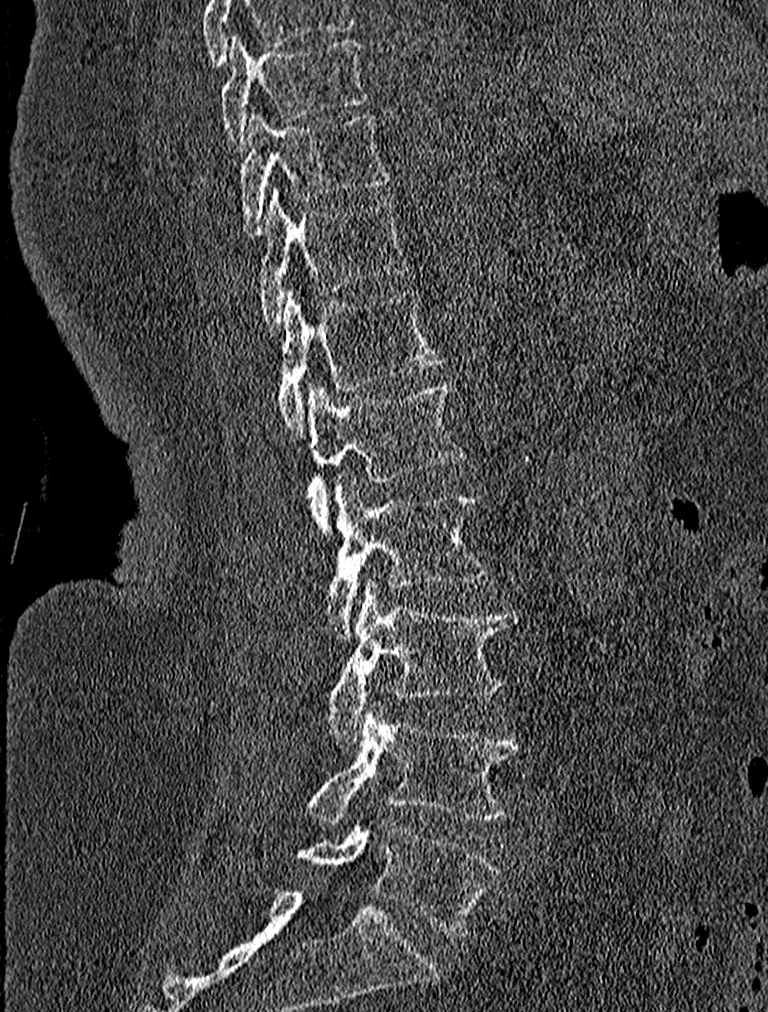

CT. sagittal reformat. the image is 227 mm wide

Boxes: x1:y1:x2:y2 in pixels.
Vertebra bounding boxes:
- L5: 297:818:499:934
- L4: 310:699:523:826
- L3: 327:577:515:742
- L2: 324:473:488:640
- L1: 307:379:461:532
- T12: 276:288:444:436
- T11: 254:187:407:331
- T10: 239:111:390:237
- T9: 219:33:367:148